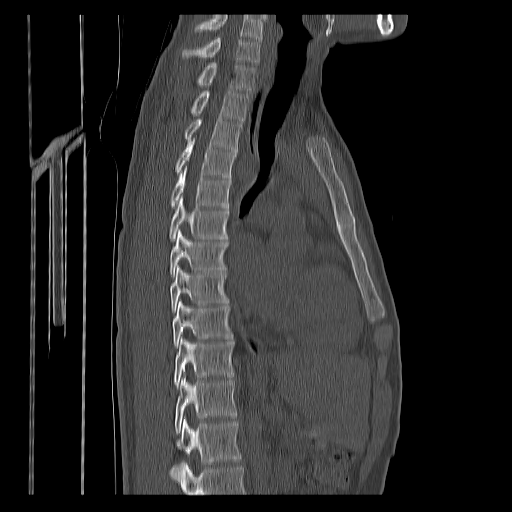

CT; 400 mm across the image; sagittal view; bone window. Boxes: x1:y1:x2:y2 in pixels. No box is given to a vertebra that the bottom edge of the scan cuts off. This scan's labels start at C7 at the top and end at T12 at the bottom. Vertebrae labeled: C7 at 182:37:259:63, T1 at 197:62:255:91, T2 at 191:90:249:121, T3 at 184:118:241:151, T4 at 176:140:236:178, T5 at 170:167:231:208, T6 at 169:197:228:241, T7 at 169:231:228:276, T8 at 170:266:227:313, T9 at 173:301:231:347, T10 at 174:338:235:388, T11 at 174:374:236:433, T12 at 170:417:241:478.